CT. sagittal reformat. bone-window reconstruction. 512x827 px. 10 vertebrae labeled in this scan. 140 mm image width
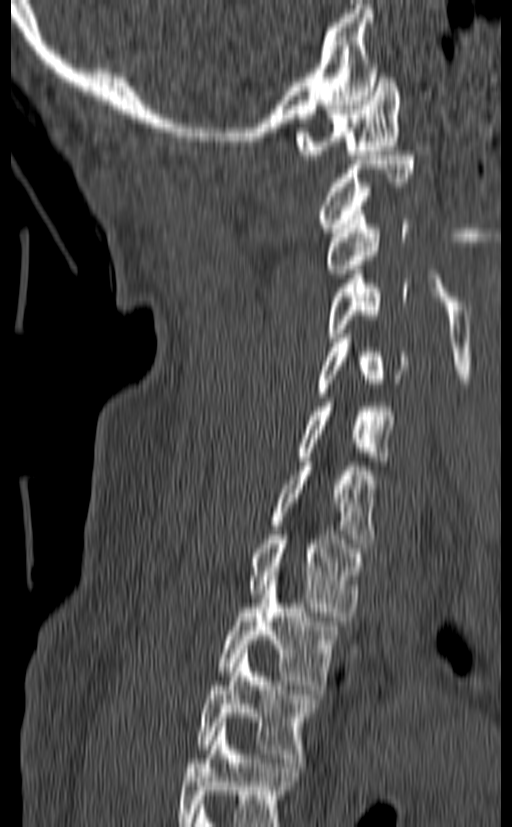

The highest labeled vertebra in this scan is C1; the lowest is T3.
<vertebrae><v name="C1" x1="296" y1="69" x2="400" y2="159"/><v name="C2" x1="320" y1="151" x2="414" y2="232"/><v name="C3" x1="327" y1="210" x2="410" y2="273"/><v name="C4" x1="327" y1="270" x2="409" y2="342"/><v name="C5" x1="318" y1="334" x2="408" y2="397"/><v name="C6" x1="298" y1="398" x2="397" y2="461"/><v name="C7" x1="271" y1="457" x2="377" y2="548"/><v name="T1" x1="249" y1="530" x2="362" y2="616"/><v name="T2" x1="217" y1="576" x2="341" y2="689"/><v name="T3" x1="196" y1="649" x2="315" y2="762"/></vertebrae>